Spine computed tomography · sagittal view · bone window · 218x667 px
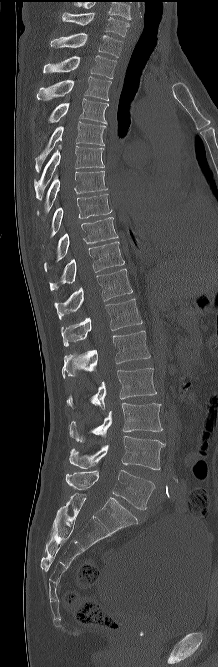

Bounding boxes as [x1, y1, x2, y2] in pixel coordinates.
The highest labeled vertebra in this scan is C7; the lowest is L5.
Vertebra bounding boxes:
- L5: [66, 470, 155, 509]
- L4: [69, 435, 165, 470]
- L3: [68, 403, 162, 442]
- L2: [66, 368, 156, 409]
- L1: [62, 331, 150, 377]
- T12: [61, 298, 142, 346]
- T11: [54, 268, 132, 319]
- T10: [49, 241, 124, 290]
- T9: [44, 217, 118, 271]
- T8: [50, 194, 112, 238]
- T7: [37, 171, 107, 215]
- T6: [34, 144, 104, 200]
- T5: [35, 121, 106, 173]
- T4: [48, 98, 109, 124]
- T3: [37, 76, 111, 100]
- T2: [43, 55, 116, 78]
- T1: [50, 33, 122, 57]
- C7: [62, 12, 129, 36]